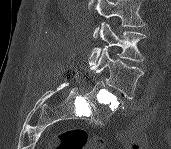 CT spine. sagittal view. bone-window reconstruction
Each box given as x1,y1,x2,y2.
Where the top of the scan cuts through a vertebra, that vertebra gets no label or box.
L5: x1=85, y1=81, x2=123, y2=124
L4: x1=89, y1=46, x2=144, y2=99
L3: x1=89, y1=22, x2=145, y2=65